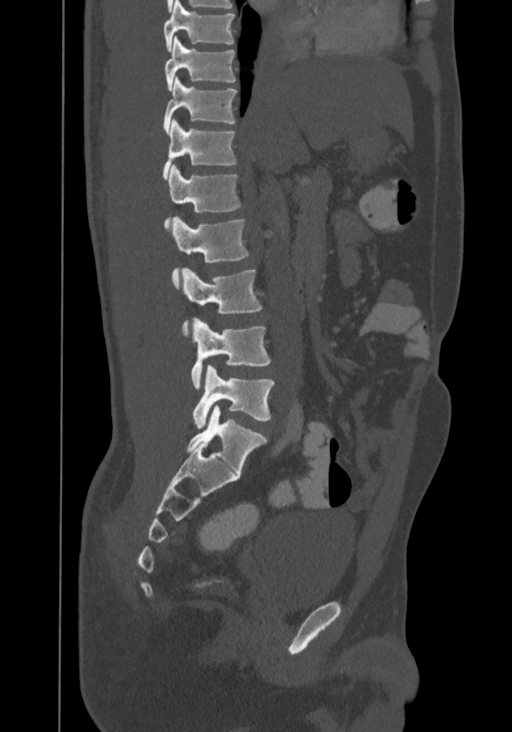

CT; sagittal view; bone-window reconstruction; 512x732 px. Boxes: x1:y1:x2:y2 in pixels.
This scan's labels start at T8 at the top and end at L4 at the bottom.
Vertebra bounding boxes:
- T8: 163:0:235:52
- T9: 164:36:236:91
- T10: 163:77:237:135
- T11: 163:119:237:179
- T12: 164:164:242:228
- L1: 172:216:249:289
- L2: 181:267:262:338
- L3: 191:318:271:389
- L4: 192:365:274:428